Spine computed tomography. sagittal view. 512x1029 px
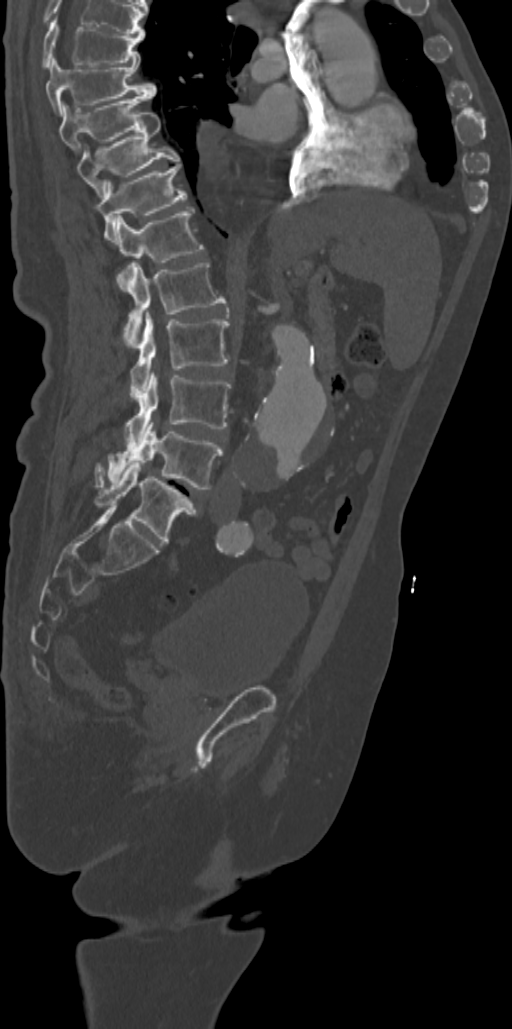 Each vertebra maps to its box as [x1, y1, x2, y2], the pixel coordinates of its top-left and bottom-right corners.
The highest labeled vertebra in this scan is T7; the lowest is L5.
{"vertebrae":{"T7":[42,18,144,66],"T8":[46,58,157,114],"T9":[58,94,150,154],"T10":[76,112,181,199],"T11":[96,164,186,242],"T12":[117,207,204,289],"L1":[118,263,226,345],"L2":[130,315,229,399],"L3":[124,373,231,448],"L4":[96,422,222,489],"L5":[94,463,196,543]}}